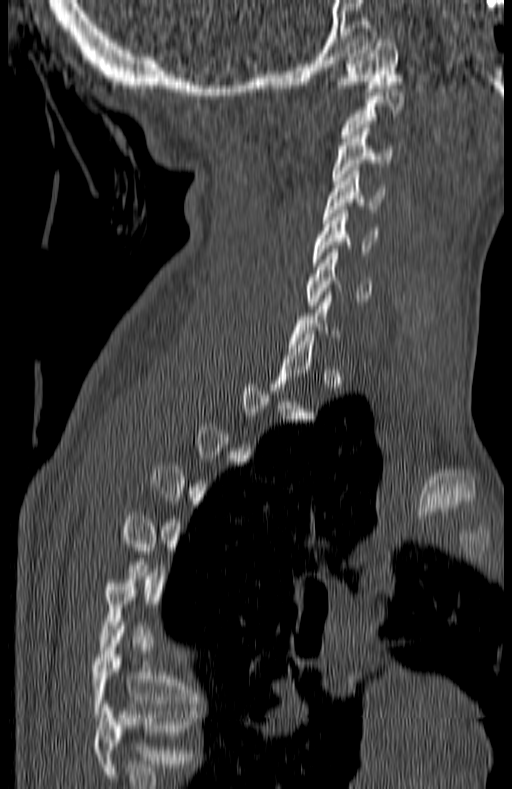 CT, spine. the image spans 180 mm across. sagittal view
Boxes: x1:y1:x2:y2 in pixels.
Not every vertebra on this slice has a box: a vertebra is boxed only from the first to the last slice where its cross-section is at least a third of its largest, and this slice is outside that range for at least one of them.
The highest labeled vertebra in this scan is C1; the lowest is T7.
C1: 339:39:401:91
C3: 332:128:393:184
C4: 322:171:386:219
C5: 314:210:378:266
C6: 308:249:373:308
T7: 92:626:198:714